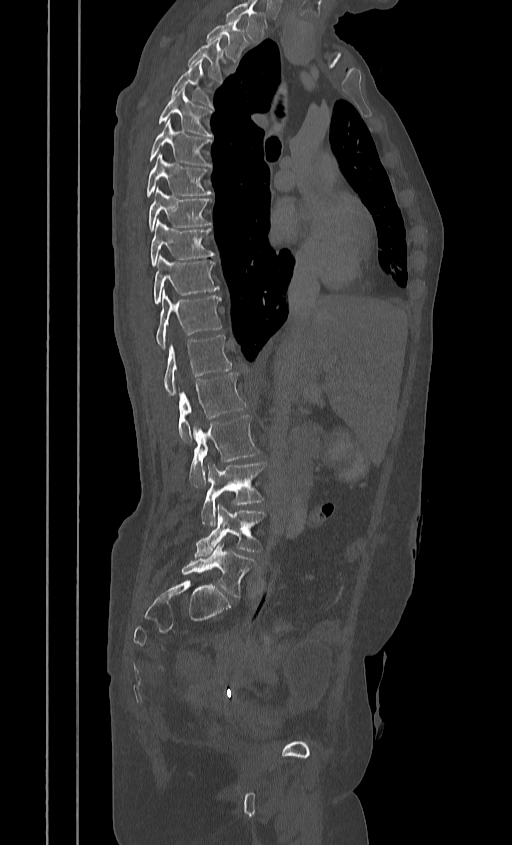

CT, spine. sagittal view. 512x845 px

Bounding boxes as [x1, y1, x2, y2] in pixel coordinates.
Labels in this scan begin with T2 at the top and end with L5 at the bottom.
L5: [181, 544, 256, 598]
L4: [194, 504, 265, 556]
L3: [201, 463, 265, 526]
L2: [189, 415, 259, 486]
L1: [178, 373, 247, 442]
T12: [164, 335, 232, 395]
T11: [156, 291, 221, 348]
T10: [153, 256, 219, 303]
T9: [150, 220, 215, 266]
T8: [148, 188, 211, 231]
T7: [146, 153, 211, 196]
T6: [148, 120, 211, 166]
T5: [158, 88, 212, 136]
T4: [170, 60, 212, 107]
T3: [188, 37, 225, 80]
T2: [206, 17, 247, 59]